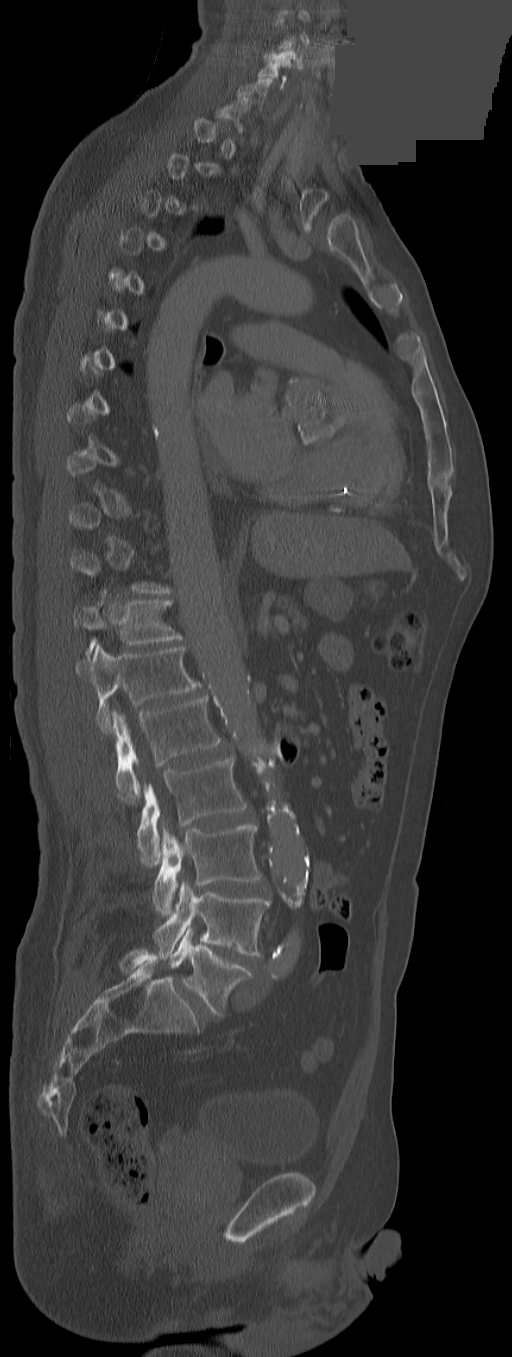 Computed tomography of the spine · sagittal view · a region of this slice is masked with a uniform fill
Columns x1, y1, x2, y2 give each box's top-left and bottom-right pixels.
Each vertebra is boxed only on the slices from the first to the last where its cross-section reaches a third of its largest, so a slice outside that range leaves it unboxed.
In these labels the spine has a T13, a thirteenth thoracic vertebra, between T12 and L1.
| vertebra | x1 | y1 | x2 | y2 |
|---|---|---|---|---|
| L5 | 168 | 928 | 253 | 1017 |
| L4 | 153 | 880 | 270 | 959 |
| L3 | 153 | 824 | 262 | 915 |
| L2 | 136 | 757 | 246 | 865 |
| L1 | 111 | 696 | 221 | 802 |
| T13 | 76 | 645 | 202 | 732 |
| T12 | 74 | 599 | 182 | 661 |
| C6 | 237 | 79 | 272 | 107 |
| C5 | 257 | 59 | 291 | 89 |